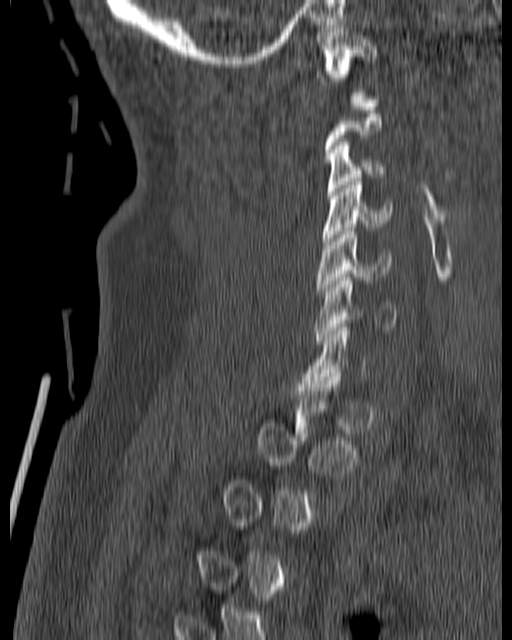

CT, spine; sagittal view

Bounding boxes as [x1, y1, x2, y2] in pixel coordinates.
A vertebra is boxed only from the first to the last slice where its cross-section is at least a third of its largest; slices outside that range leave it without a box.
Vertebra bounding boxes:
- C1: [315, 28, 376, 95]
- C3: [327, 139, 384, 195]
- C4: [322, 178, 393, 248]
- C5: [316, 228, 390, 294]
- C6: [314, 277, 398, 344]